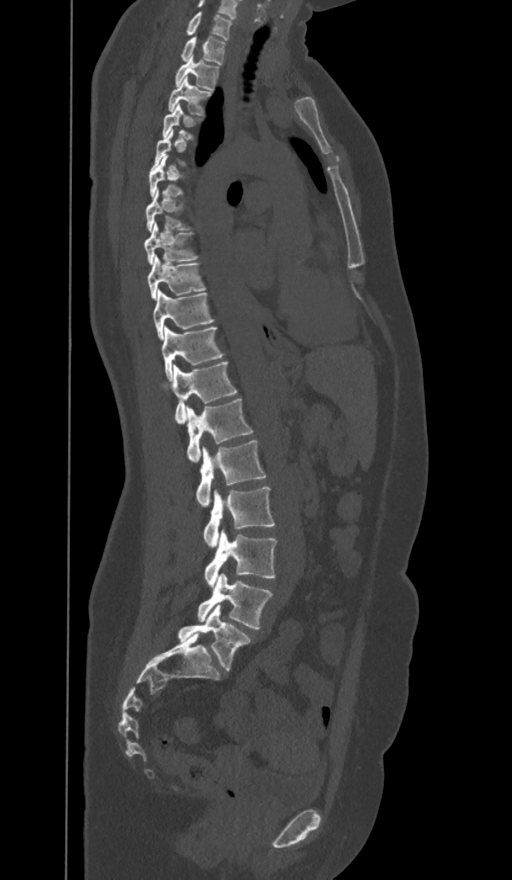
CT, spine — sagittal view — W/L 1800/400 HU
Boxes: x1:y1:x2:y2 in pixels.
Not every vertebra on this slice has a box: a vertebra is boxed only from the first to the last slice where its cross-section is at least a third of its largest, and this slice is outside that range for at least one of them.
The labels name a sixth lumbar vertebra for this spine: L6, after L5.
Vertebra bounding boxes:
- L6: 178:605:251:670
- L5: 198:573:273:629
- L4: 205:531:277:585
- L3: 204:487:275:546
- L2: 196:440:266:507
- L1: 186:398:252:461
- T12: 171:361:237:423
- T11: 161:327:223:380
- T10: 153:290:214:339
- T9: 148:255:206:300
- T8: 144:223:197:264
- T7: 145:189:190:232
- T6: 149:155:185:197
- T4: 163:103:201:139
- T3: 168:78:211:115
- T2: 175:57:219:89
- T1: 181:37:225:64
- C7: 186:12:232:40